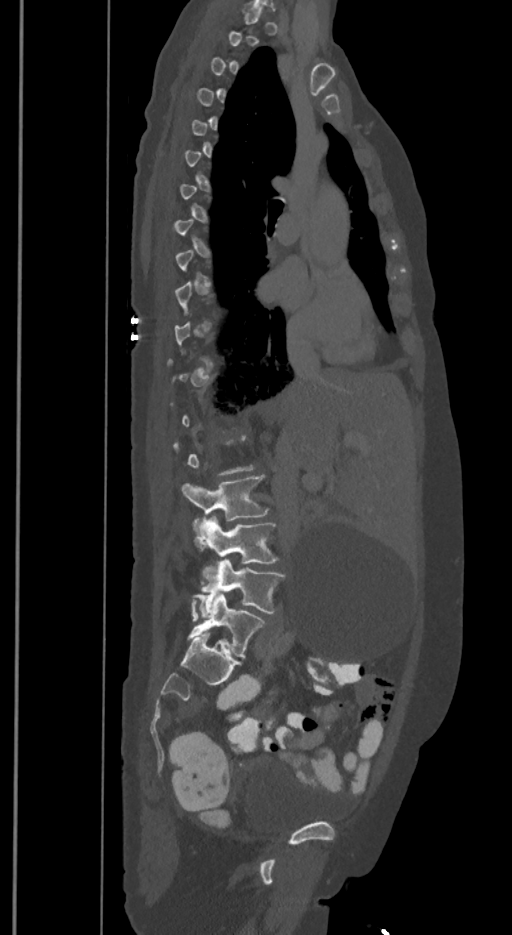 Spine computed tomography — sagittal view — 512x935 px. Boxes: x1 y1 x2 y2 (pixel coords, space-separated).
Not every vertebra on this slice has a box: a vertebra is boxed only from the first to the last slice where its cross-section is at least a third of its largest, and this slice is outside that range for at least one of them.
The labels name a sixth lumbar vertebra for this spine: L6, after L5.
L3: 183 475 269 537
L4: 194 515 278 578
L5: 192 560 284 616
L6: 187 594 265 657